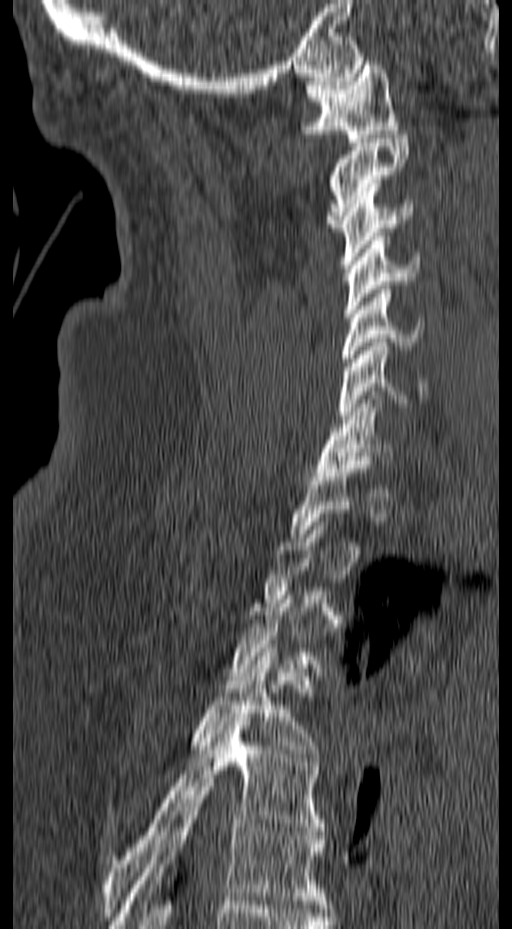
CT; sagittal view; 512x929 px
In the table, x1 and y1 are a box's top-left corner and x2 and y2 its bottom-right corner, in pixels.
A vertebra is boxed only from the first to the last slice where its cross-section is at least a third of its largest; slices outside that range leave it without a box.
| vertebra | x1 | y1 | x2 | y2 |
|---|---|---|---|---|
| C1 | 301 | 61 | 399 | 142 |
| C2 | 325 | 135 | 408 | 231 |
| C3 | 339 | 183 | 412 | 268 |
| C4 | 345 | 232 | 421 | 317 |
| C5 | 341 | 285 | 424 | 370 |
| C6 | 338 | 338 | 427 | 419 |
| C7 | 315 | 391 | 391 | 476 |
| T4 | 110 | 648 | 318 | 810 |
| T5 | 102 | 713 | 324 | 916 |
| T6 | 110 | 787 | 330 | 928 |